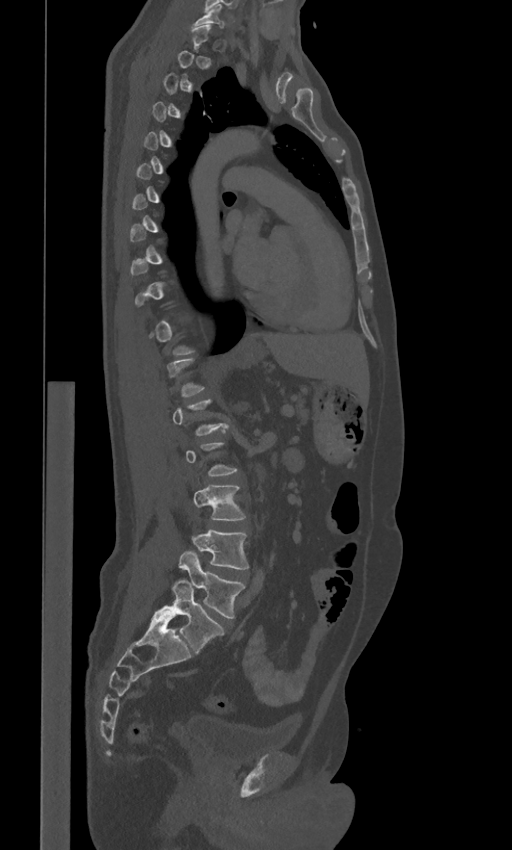

Spine computed tomography — sagittal reformat — 443 mm wide — 512x850 px
Bounding boxes as [x1, y1, x2, y2] in pixel coordinates.
A vertebra gets a box only on the slices from the first to the last where its cross-section is at least a third of its largest; on a slice outside that range it gets none.
In these labels the spine has an L6, a sixth lumbar vertebra below L5.
Vertebra bounding boxes:
- C7: [193, 5, 224, 27]
- L3: [193, 485, 245, 520]
- L4: [192, 529, 249, 569]
- L5: [179, 551, 245, 618]
- L6: [155, 580, 223, 654]